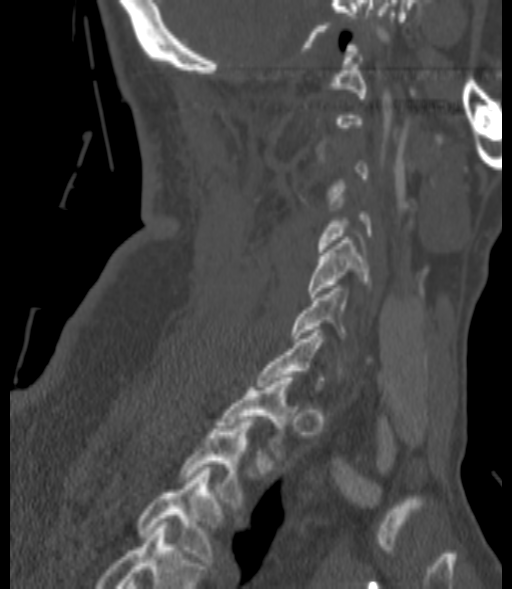 Spine computed tomography. sagittal view. bone-window reconstruction. In the table, x1 and y1 are a box's top-left corner and x2 and y2 its bottom-right corner, in pixels.
Not every vertebra on this slice has a box: a vertebra is boxed only from the first to the last slice where its cross-section is at least a third of its largest, and this slice is outside that range for at least one of them.
In this scan, the topmost labeled vertebra is C1 and the lowest is T3.
| vertebra | x1 | y1 | x2 | y2 |
|---|---|---|---|---|
| T3 | 136 | 467 | 223 | 562 |
| T2 | 180 | 419 | 253 | 508 |
| T1 | 216 | 378 | 292 | 457 |
| C6 | 292 | 288 | 348 | 341 |
| C5 | 308 | 237 | 370 | 297 |